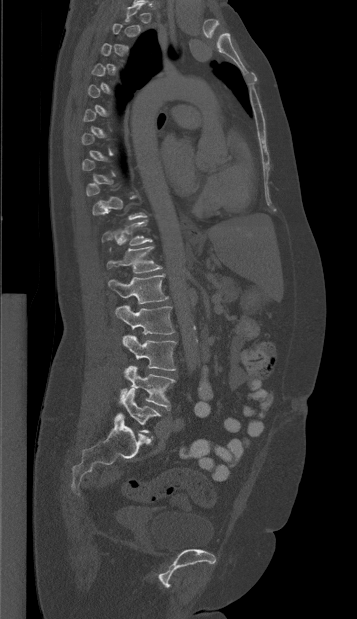

Spine computed tomography — sagittal reformat — bone-window reconstruction. Boxes: x1:y1:x2:y2 in pixels.
A vertebra is boxed only from the first to the last slice where its cross-section is at least a third of its largest; slices outside that range leave it without a box.
T11: 102:220:152:245
T12: 107:246:161:273
L1: 108:274:168:303
L2: 115:305:174:334
L3: 122:335:176:370
L4: 120:365:175:410
L5: 122:388:161:432